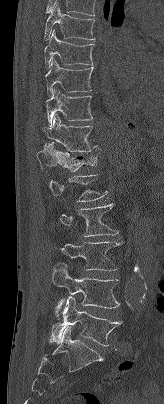
Computed tomography of the spine; sagittal view; 164 mm wide

Box values are [left, top, right, bottom] in pixels.
{"vertebrae":{"T7":[44,3,94,40],"T8":[44,30,93,68],"T9":[45,57,93,96],"T10":[45,88,92,125],"T11":[42,114,100,151],"T12":[37,142,97,171],"L1":[48,174,107,201],"L2":[59,203,119,236],"L3":[55,241,122,271],"L4":[52,264,119,318],"L5":[50,296,122,346]}}